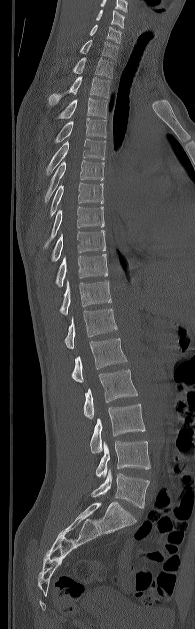

Spine CT; 195 mm image width; sagittal view
Boxes are given in columns x1, y1, x2, y2, the pixel coordinates of their top-left and bottom-right corners.
The highest labeled vertebra in this scan is C5; the lowest is L5.
| vertebra | x1 | y1 | x2 | y2 |
|---|---|---|---|---|
| C5 | 96 | 10 | 124 | 28 |
| C6 | 89 | 24 | 121 | 43 |
| C7 | 79 | 40 | 118 | 59 |
| T1 | 72 | 57 | 112 | 78 |
| T2 | 49 | 76 | 110 | 105 |
| T3 | 57 | 97 | 106 | 119 |
| T4 | 54 | 118 | 106 | 143 |
| T5 | 46 | 139 | 105 | 174 |
| T6 | 45 | 160 | 104 | 202 |
| T7 | 49 | 182 | 103 | 216 |
| T8 | 44 | 206 | 104 | 247 |
| T9 | 51 | 230 | 105 | 261 |
| T10 | 55 | 254 | 107 | 286 |
| T11 | 60 | 280 | 111 | 314 |
| T12 | 64 | 308 | 117 | 348 |
| L1 | 71 | 338 | 126 | 382 |
| L2 | 83 | 369 | 137 | 419 |
| L3 | 90 | 403 | 145 | 452 |
| L4 | 95 | 441 | 150 | 477 |
| L5 | 91 | 468 | 149 | 508 |